Computed tomography of the spine · image 245 mm wide · sagittal plane, index 71
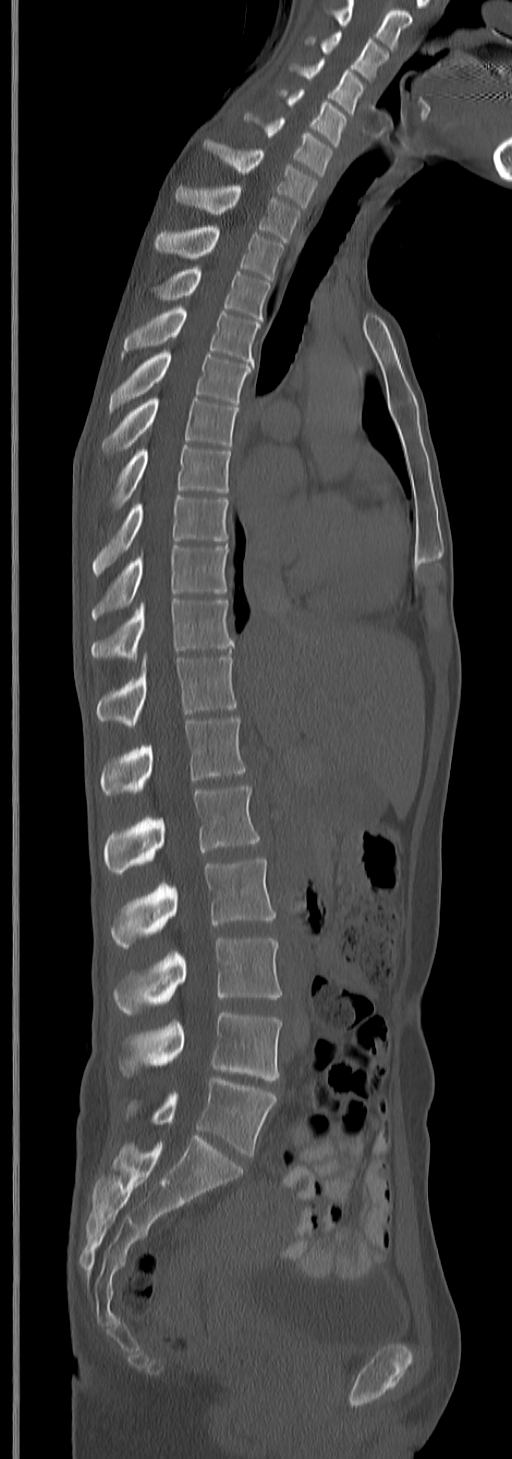 Each box is [x1, y1, x2, y2] in pixels: top-left corner, then bottom-right corner.
The highest labeled vertebra in this scan is C3; the lowest is L5.
{"vertebrae":{"C3":[308,32,388,81],"C4":[291,59,365,115],"C5":[278,88,349,146],"C6":[245,113,332,175],"C7":[205,141,317,209],"T1":[176,184,300,242],"T2":[155,226,284,280],"T3":[155,266,269,319],"T4":[120,306,261,361],"T5":[109,350,252,413],"T6":[101,398,238,457],"T7":[109,444,232,512],"T8":[92,494,229,576],"T9":[90,546,227,620],"T10":[90,598,234,660],"T11":[97,653,236,727],"T12":[101,715,246,796],"L1":[103,784,259,873],"L2":[109,858,275,949],"L3":[113,937,282,1015],"L4":[120,1012,282,1080],"L5":[126,1077,277,1155]}}